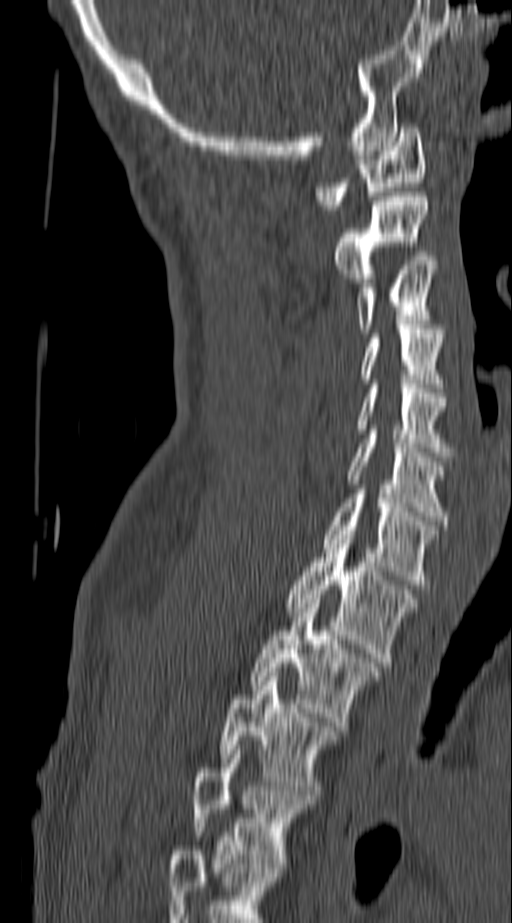

CT · sagittal view · bone window · 512x923 px

Coordinates as <box>x1,y1,x2,y2</box>.
In this scan, the topmost labeled vertebra is C1 and the lowest is T4.
Vertebra bounding boxes:
- C1: <box>316,123,425,209</box>
- C2: <box>334,192,428,282</box>
- C3: <box>355,261,436,333</box>
- C4: <box>360,329,443,388</box>
- C5: <box>356,384,454,456</box>
- C6: <box>348,434,450,525</box>
- C7: <box>323,489,439,584</box>
- T1: <box>284,539,417,666</box>
- T2: <box>250,599,381,726</box>
- T3: <box>221,672,340,799</box>
- T4: <box>192,745,315,868</box>